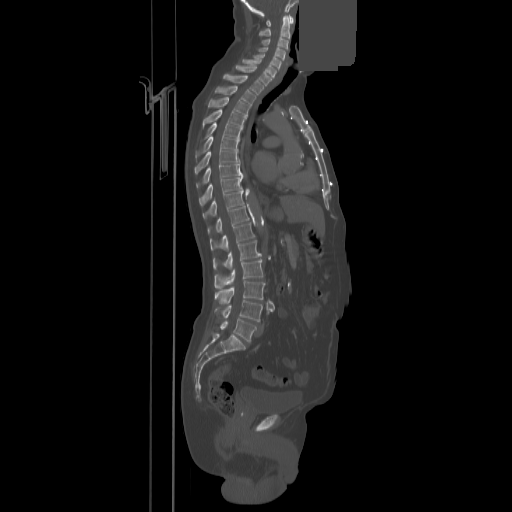 Computed tomography of the spine · sagittal view · a uniform gray block covers part of the image

Each row gives a vertebra's box as x1, y1, x2, y2 in pixels: top-left corner, then bottom-right corner.
| vertebra | x1 | y1 | x2 | y2 |
|---|---|---|---|---|
| C1 | 266 | 15 | 293 | 26 |
| C2 | 259 | 16 | 289 | 37 |
| C3 | 262 | 37 | 288 | 49 |
| C4 | 258 | 47 | 285 | 60 |
| C5 | 253 | 53 | 281 | 70 |
| C6 | 242 | 59 | 276 | 77 |
| C7 | 236 | 65 | 272 | 85 |
| T1 | 223 | 74 | 263 | 94 |
| T2 | 215 | 85 | 255 | 105 |
| T3 | 208 | 97 | 250 | 115 |
| T4 | 203 | 109 | 246 | 127 |
| T5 | 205 | 122 | 242 | 138 |
| T6 | 195 | 136 | 239 | 157 |
| T7 | 195 | 149 | 237 | 173 |
| T8 | 196 | 163 | 241 | 187 |
| T9 | 199 | 174 | 243 | 206 |
| T10 | 203 | 190 | 243 | 218 |
| T11 | 208 | 206 | 249 | 233 |
| T12 | 210 | 222 | 254 | 250 |
| L1 | 213 | 240 | 261 | 269 |
| L2 | 214 | 259 | 262 | 289 |
| L3 | 214 | 281 | 265 | 303 |
| L4 | 214 | 300 | 262 | 321 |
| L5 | 220 | 318 | 256 | 342 |